CT. Sagittal slice 280/512. bone-window reconstruction
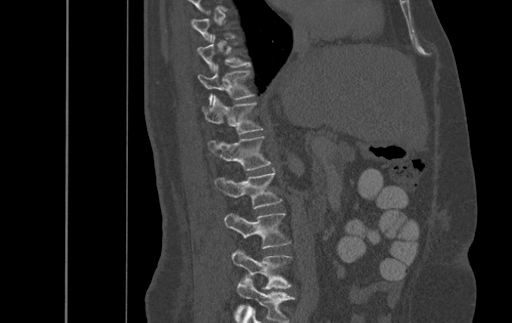

Boxes: x1 y1 x2 y2 (pixel coords, space-separated).
Not every vertebra on this slice has a box: a vertebra is boxed only from the first to the last slice where its cross-section is at least a third of its largest, and this slice is outside that range for at least one of them.
The highest labeled vertebra in this scan is T9; the lowest is L4.
Vertebra bounding boxes:
- T10: 197 36 249 69
- T11: 198 66 253 103
- T12: 203 95 262 134
- L1: 209 136 270 170
- L2: 215 169 282 209
- L3: 224 213 290 248
- L4: 232 251 291 289